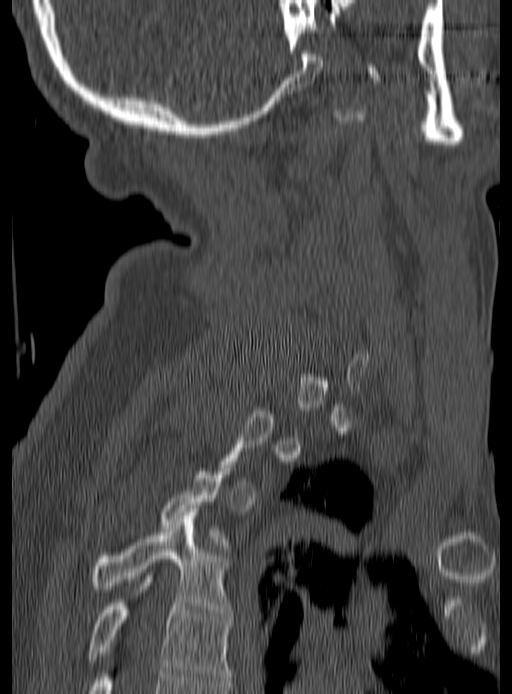
Spine computed tomography — sagittal view — 512x694 px — 190 mm image width
In the table, x1 and y1 are a box's top-left corner and x2 and y2 its bottom-right corner, in pixels.
Each vertebra is boxed only on the slices from the first to the last where its cross-section reaches a third of its largest, so a slice outside that range leaves it unboxed.
| vertebra | x1 | y1 | x2 | y2 |
|---|---|---|---|---|
| T5 | 87 | 579 | 232 | 683 |
| T4 | 92 | 512 | 232 | 615 |